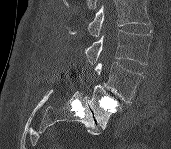 Computed tomography of the spine. sagittal reformat. bone-window reconstruction. 171x149 px. Each box given as x1,y1,x2,y2.
A vertebra cut off by the top edge of the scan is not labeled and has no box.
| vertebra | x1 | y1 | x2 | y2 |
|---|---|---|---|---|
| L3 | 85 | 30 | 151 | 64 |
| L4 | 95 | 62 | 143 | 102 |
| L5 | 87 | 85 | 121 | 129 |